CT, spine. sagittal view
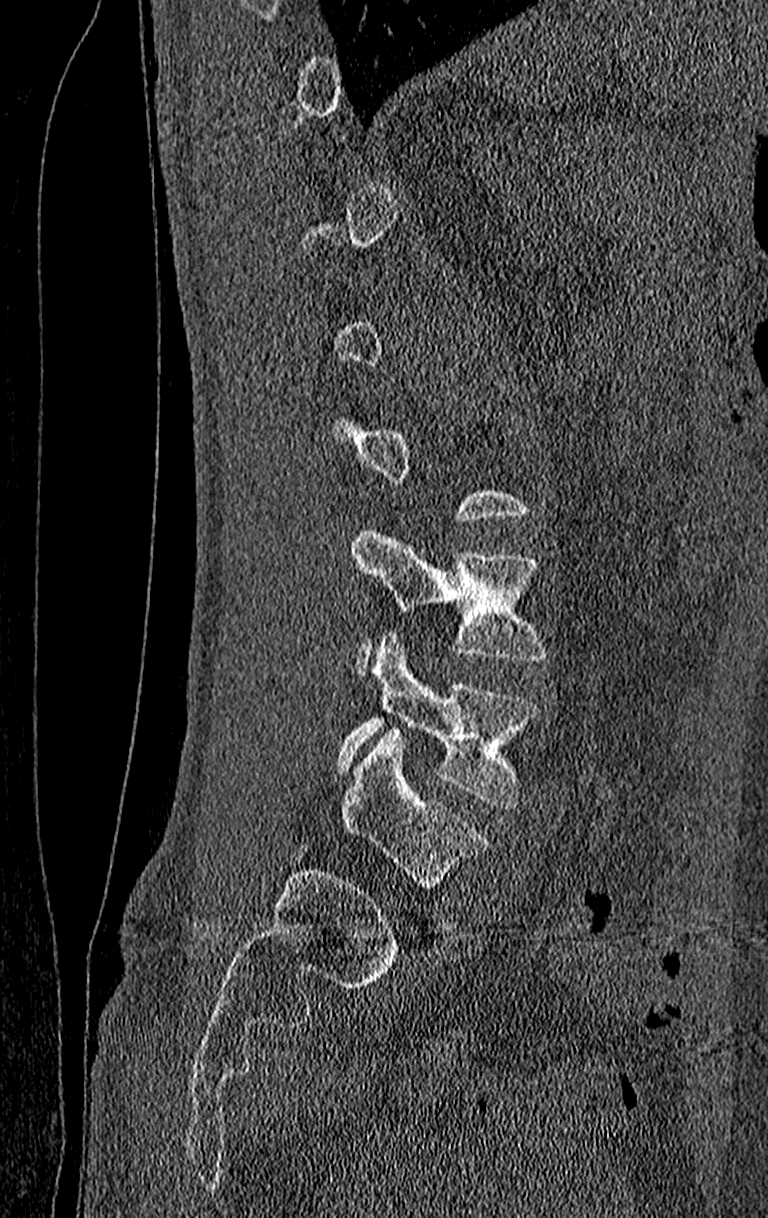 Each vertebra is boxed only on the slices from the first to the last where its cross-section reaches a third of its largest, so a slice outside that range leaves it unboxed.
In this scan, the topmost labeled vertebra is T11 and the lowest is L4.
<vertebrae><v name="L4" x1="339" y1="634" x2="539" y2="809"/><v name="L3" x1="350" y1="528" x2="546" y2="669"/></vertebrae>